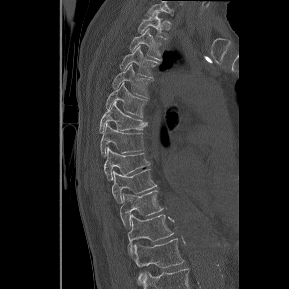

Spine computed tomography — sagittal view — Bone window (WL 400, WW 1800)

Columns x1, y1, x2, y2 give each box's top-left and bottom-right pixels.
Labels in this scan begin with T1 at the top and end with T12 at the bottom.
| vertebra | x1 | y1 | x2 | y2 |
|---|---|---|---|---|
| T12 | 134 | 238 | 184 | 283 |
| T11 | 128 | 214 | 174 | 253 |
| T10 | 120 | 190 | 163 | 229 |
| T9 | 112 | 168 | 156 | 202 |
| T8 | 104 | 147 | 149 | 180 |
| T7 | 100 | 123 | 144 | 156 |
| T6 | 99 | 102 | 147 | 133 |
| T5 | 106 | 82 | 146 | 117 |
| T4 | 112 | 64 | 150 | 97 |
| T3 | 119 | 46 | 158 | 77 |
| T2 | 129 | 28 | 164 | 60 |
| T1 | 138 | 12 | 170 | 39 |